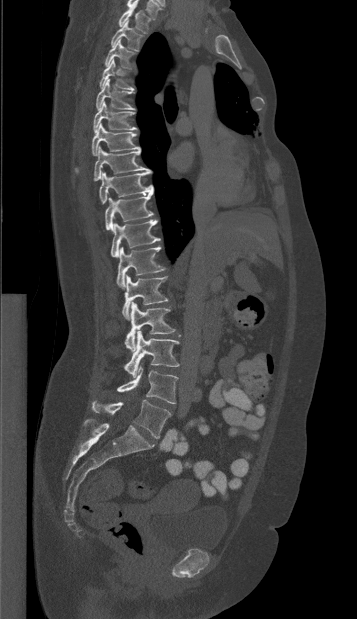

Computed tomography of the spine; sagittal view; 357x619 px. Boxes: x1 y1 x2 y2 (pixel coords, space-separated).
Vertebra bounding boxes:
- T1: 118 4 150 33
- T2: 110 21 142 51
- T3: 104 39 134 68
- T4: 99 59 133 91
- T5: 96 78 135 110
- T6: 93 101 136 132
- T7: 76 123 140 171
- T8: 94 146 151 180
- T9: 99 172 153 203
- T10: 105 193 153 231
- T11: 110 220 160 257
- T12: 116 247 164 288
- L1: 122 275 168 319
- L2: 124 302 175 351
- L3: 123 331 179 376
- L4: 116 366 178 403
- L5: 92 399 171 438